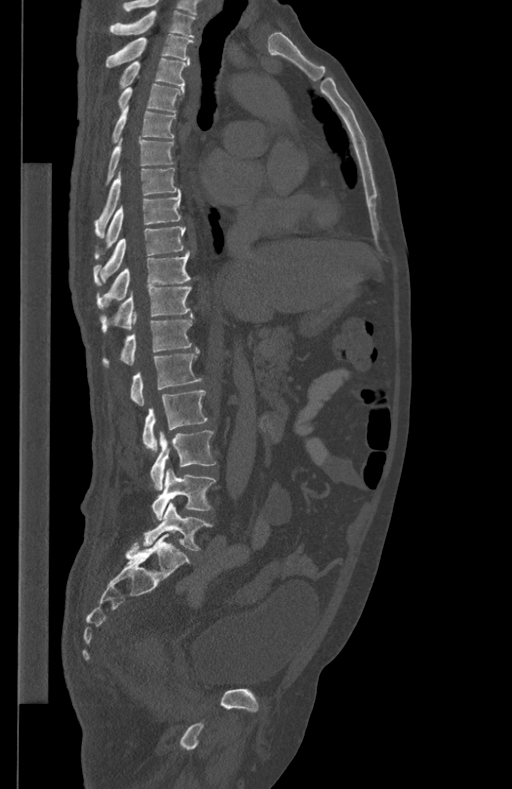 CT spine; sagittal view; bone-window reconstruction

Each box given as x1,y1,x2,y2.
T1: x1=110, y1=11, x2=196, y2=37
T2: x1=106, y1=34, x2=194, y2=67
T3: x1=120, y1=57, x2=189, y2=87
T4: x1=118, y1=84, x2=184, y2=112
T5: x1=112, y1=105, x2=175, y2=142
T6: x1=107, y1=138, x2=174, y2=183
T7: x1=94, y1=167, x2=178, y2=238
T8: x1=95, y1=189, x2=181, y2=257
T9: x1=93, y1=226, x2=185, y2=286
T10: x1=97, y1=252, x2=190, y2=309
T11: x1=100, y1=287, x2=191, y2=332
T12: x1=103, y1=313, x2=194, y2=366
L1: x1=130, y1=347, x2=202, y2=406
L2: x1=143, y1=390, x2=208, y2=452
L3: x1=150, y1=430, x2=216, y2=490
L4: x1=152, y1=468, x2=216, y2=519
L5: x1=144, y1=502, x2=212, y2=551